Spine CT; sagittal view; bone-window reconstruction
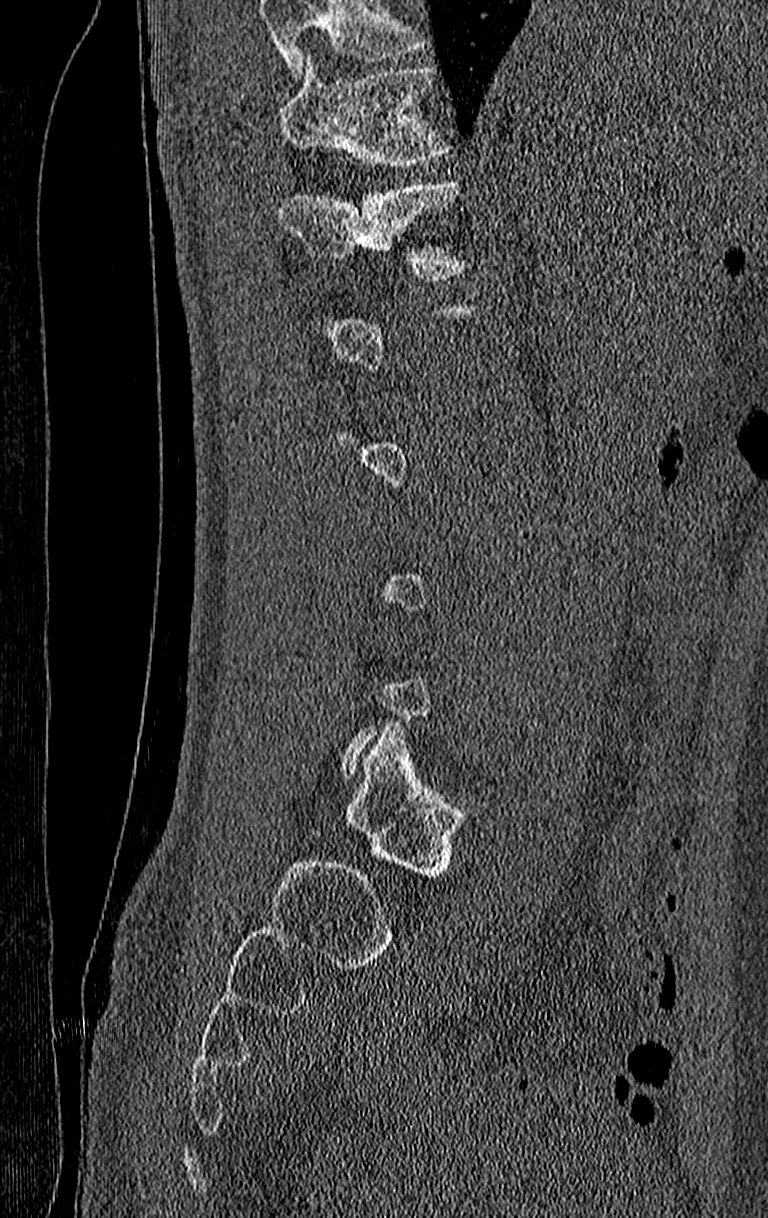

Box edges are left/top/right/bottom in pixels.
A vertebra is boxed only from the first to the last slice where its cross-section is at least a third of its largest; slices outside that range leave it without a box.
A vertebra cut off by the top edge of the scan is not labeled and has no box.
Vertebra bounding boxes:
- T11: left=280, top=56, right=455, bottom=169
- T12: left=280, top=179, right=473, bottom=282